CT, spine. sagittal reformat. bone-window reconstruction. 512x1010 px. 12 vertebrae labeled in this scan
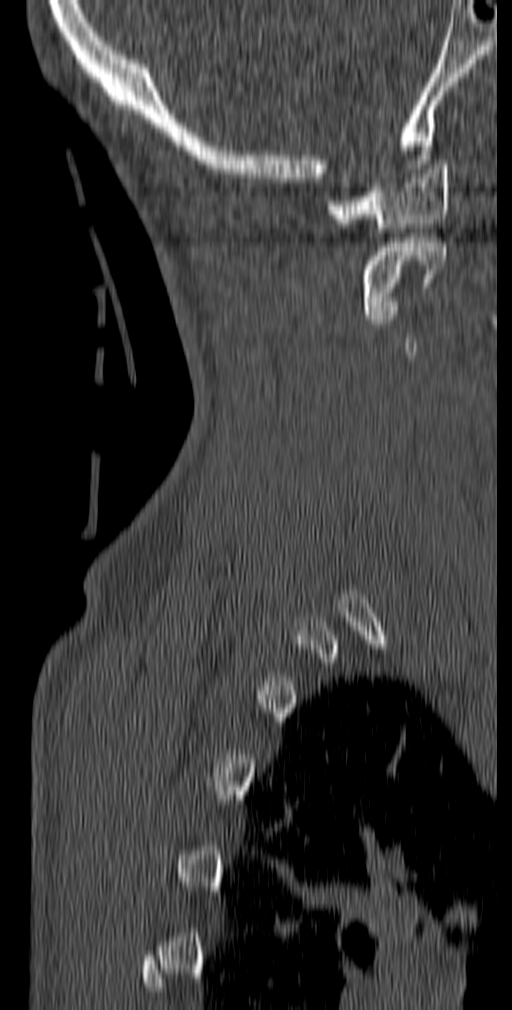
Each vertebra maps to its box as [x1, y1, x2, y2], the pixel coordinates of its top-left and bottom-right corners.
A vertebra is boxed only from the first to the last slice where its cross-section is at least a third of its largest; slices outside that range leave it without a box.
{"vertebrae":{"C1":[327,160,450,232],"C2":[360,238,447,319]}}